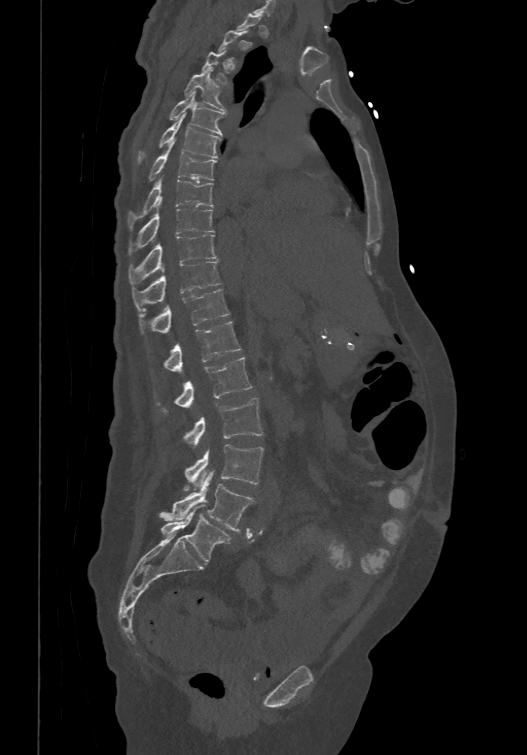 CT · the image is 474 mm wide · sagittal reformat

Each box is [x1, y1, x2, y2] in pixels: top-left corner, then bottom-right corner.
Each vertebra is boxed only on the slices from the first to the last where its cross-section reaches a third of its largest, so a slice outside that range leaves it unboxed.
These labels give the spine a sixth lumbar vertebra, L6, below L5.
{"vertebrae":{"T4":[184,67,225,111],"T5":[169,90,224,134],"T6":[137,113,221,162],"T7":[149,143,216,180],"T8":[128,176,213,227],"T9":[129,198,213,254],"T10":[129,234,217,284],"T11":[132,260,220,310],"T12":[139,287,229,333],"L1":[164,321,241,371],"L2":[157,356,252,413],"L3":[183,397,262,446],"L4":[184,444,263,490],"L5":[160,472,253,531],"L6":[160,504,231,562]}}